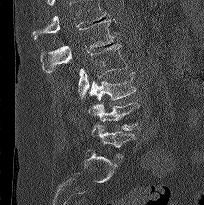

CT, spine — sagittal reformat — 204 mm wide

Coordinates as <box>x1,y1,x2,y2</box>.
Vertebrae that run past the top of the scan are left unlabeled.
Vertebra bounding boxes:
- L1: <box>40,20,116,72</box>
- L2: <box>78,43,127,98</box>
- L3: <box>89,71,136,101</box>
- L4: <box>88,102,139,130</box>
- L5: <box>91,123,135,158</box>